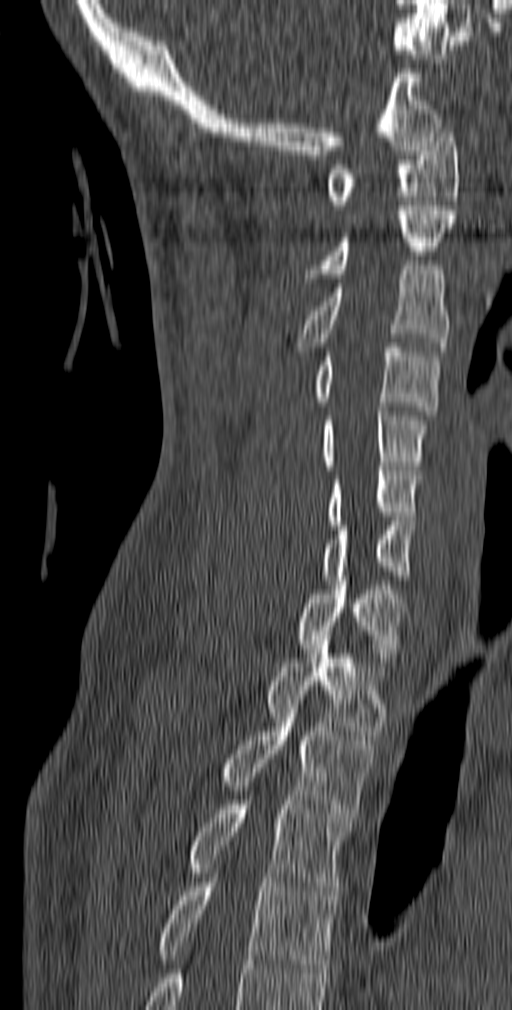 CT, spine — sagittal view — W/L 1800/400 HU — 140 mm across the image. Box edges are left/top/right/bottom in pixels.
C1: left=326, top=128, right=459, bottom=209
C2: left=305, top=206, right=456, bottom=278
C3: left=297, top=265, right=450, bottom=351
C4: left=312, top=343, right=439, bottom=415
C5: left=320, top=407, right=428, bottom=470
C6: left=327, top=466, right=421, bottom=525
C7: left=320, top=521, right=414, bottom=584
T1: left=294, top=576, right=407, bottom=666
T2: left=265, top=631, right=388, bottom=740
T3: left=217, top=709, right=374, bottom=817
T4: left=184, top=800, right=351, bottom=900
T5: left=155, top=873, right=339, bottom=973